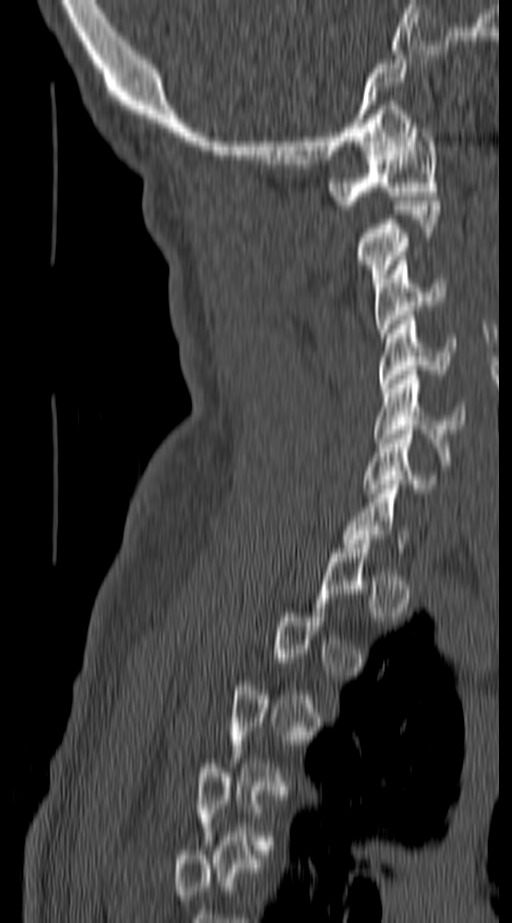

Computed tomography of the spine · sagittal view
Each vertebra maps to its box as [x1, y1, x2, y2], the pixel coordinates of its top-left and bottom-right corners.
Each vertebra is boxed only on the slices from the first to the last where its cross-section reaches a third of its largest, so a slice outside that range leaves it unboxed.
{"vertebrae":{"C6":[363,430,440,493],"C5":[374,370,466,447],"C4":[378,315,454,388],"C3":[374,256,446,337],"C2":[356,201,439,287],"C1":[330,123,439,205]}}